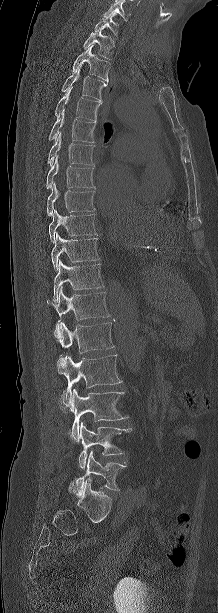
Spine computed tomography — sagittal view — 218x613 px

Boxes are given in columns x1, y1, x2, y2, the pixel coordinates of their top-left and bottom-right corners.
The highest labeled vertebra in this scan is C7; the lowest is L5.
| vertebra | x1 | y1 | x2 | y2 |
|---|---|---|---|---|
| C7 | 94 | 13 | 118 | 36 |
| T1 | 83 | 29 | 114 | 59 |
| T2 | 73 | 45 | 110 | 83 |
| T3 | 62 | 64 | 106 | 98 |
| T4 | 55 | 86 | 103 | 120 |
| T5 | 49 | 109 | 96 | 142 |
| T6 | 47 | 133 | 95 | 166 |
| T7 | 46 | 155 | 95 | 189 |
| T8 | 47 | 182 | 94 | 216 |
| T9 | 49 | 210 | 97 | 242 |
| T10 | 51 | 232 | 99 | 268 |
| T11 | 52 | 261 | 103 | 302 |
| T12 | 47 | 286 | 109 | 331 |
| L1 | 55 | 322 | 114 | 353 |
| L2 | 57 | 354 | 122 | 404 |
| L3 | 66 | 389 | 128 | 441 |
| L4 | 78 | 422 | 131 | 469 |
| L5 | 68 | 450 | 125 | 493 |